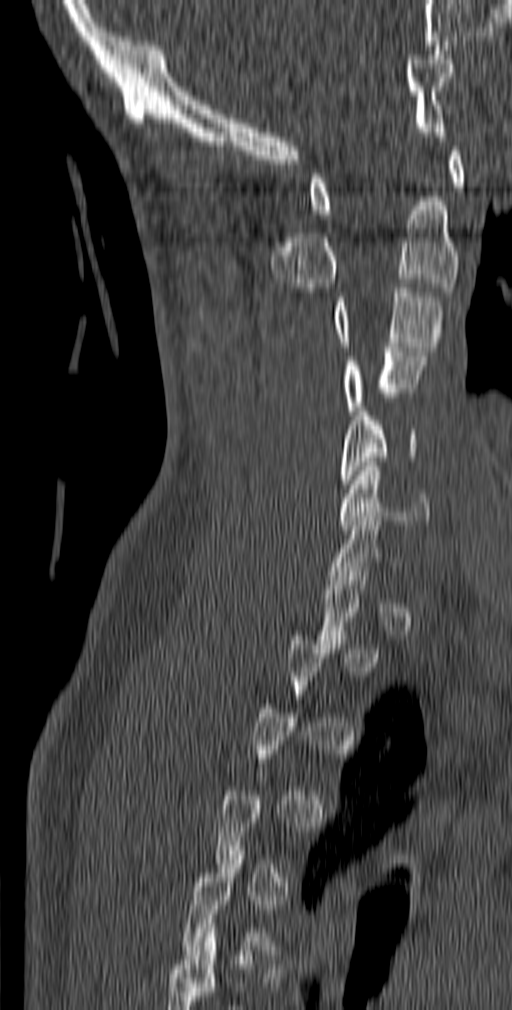 CT, spine. sagittal reformat. bone-window reconstruction. 512x1010 px
A vertebra is boxed only from the first to the last slice where its cross-section is at least a third of its largest; slices outside that range leave it without a box.
<vertebrae><v name="C6" x1="338" y1="462" x2="430" y2="529"/><v name="C5" x1="341" y1="407" x2="417" y2="484"/><v name="C4" x1="345" y1="347" x2="425" y2="415"/><v name="C3" x1="334" y1="283" x2="443" y2="351"/><v name="C2" x1="271" y1="197" x2="459" y2="292"/><v name="C1" x1="309" y1="146" x2="465" y2="214"/></vertebrae>